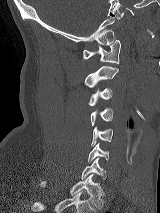
Spine CT; sagittal view; 160x213 px
Bounding boxes as [x1, y1, x2, y2] in pixel coordinates. 8 vertebrae labeled — C1 at [82, 40, 120, 63]; C2 at [84, 66, 118, 87]; C3 at [88, 88, 112, 106]; C4 at [90, 108, 113, 126]; C5 at [91, 127, 113, 146]; C6 at [88, 143, 109, 162]; C7 at [81, 158, 106, 179]; T1 at [39, 174, 103, 208].